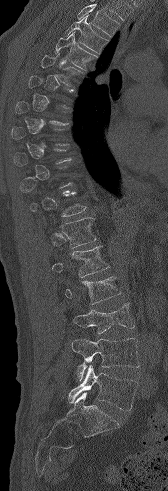 Spine CT; sagittal view; bone window; 168x491 px

Boxes are (x1, y1, x2, y2) in pixels.
Not every vertebra on this slice has a box: a vertebra is boxed only from the first to the last slice where its cross-section is at least a third of its largest, and this slice is outside that range for at least one of them.
Where the top of the scan cuts through a vertebra, that vertebra gets no label or box.
Vertebra bounding boxes:
- T3: (65, 15, 107, 53)
- T4: (55, 32, 97, 69)
- T5: (41, 53, 82, 86)
- T12: (60, 217, 97, 248)
- L1: (52, 246, 109, 277)
- L2: (65, 276, 121, 304)
- L3: (73, 303, 134, 333)
- L4: (71, 338, 139, 380)
- L5: (68, 365, 138, 410)